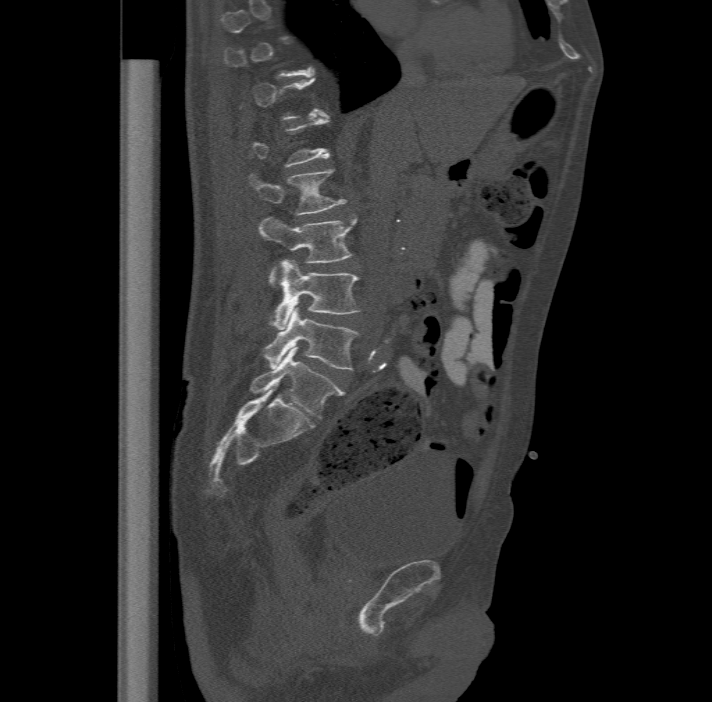 CT spine; sagittal view; W/L 1800/400 HU; 712x702 px

Box values are [left, top, right, bottom] in pixels.
A vertebra gets a box only on the slices from the first to the last where its cross-section is at least a third of its largest; on a slice outside that range it gets none.
The labels name a sixth lumbar vertebra for this spine: L6, after L5.
{"vertebrae":{"L2":[249,168,345,214],"L3":[259,215,358,284],"L4":[270,258,361,329],"L5":[264,307,359,370],"L6":[250,347,342,418]}}